CT, spine; Sagittal slice 251/512; W/L 1800/400 HU; scan covers 10 annotated vertebrae; the image spans 486 mm across
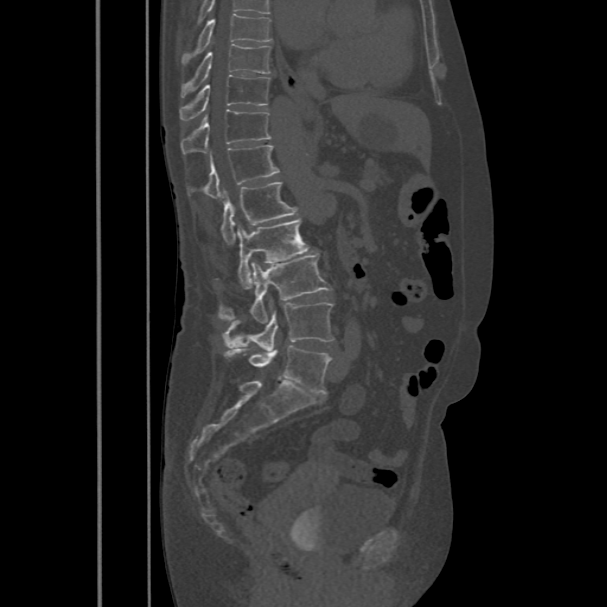
Boxes: x1:y1:x2:y2 in pixels. This scan's labels start at T8 at the top and end at L5 at the bottom. Vertebrae labeled: L5 at 225:345:331:392, L4 at 223:300:334:351, L3 at 218:255:331:324, L2 at 236:218:309:289, L1 at 221:182:298:245, T12 at 204:145:279:199, T11 at 181:110:271:155, T10 at 179:75:269:120, T9 at 181:43:271:97, T8 at 181:13:272:65.